CT — image 443 mm wide — sagittal plane, index 281 — 512x850 px — 19 vertebrae labeled in this scan
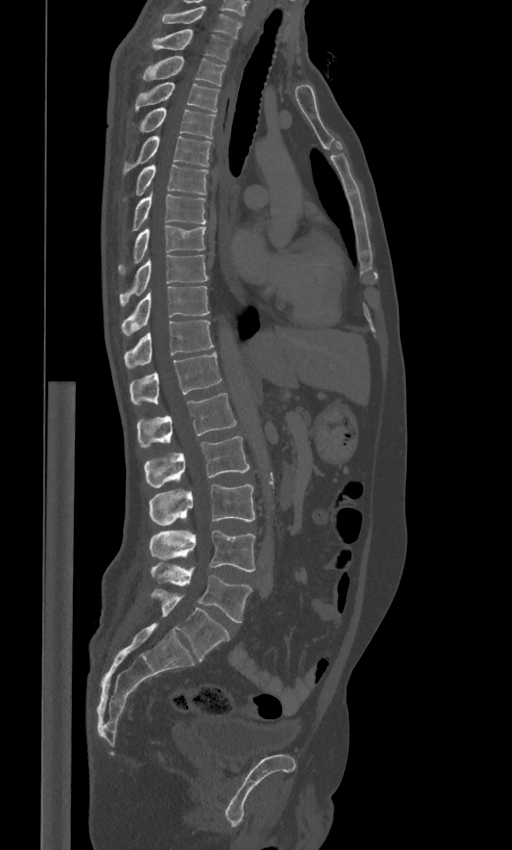 Coordinates as <box>x1,y1,x2,y2</box>.
These labels give the spine a sixth lumbar vertebra, L6, below L5.
Vertebra bounding boxes:
- C7: <box>159,6,242,39</box>
- T1: <box>151,29,232,60</box>
- T2: <box>142,56,225,86</box>
- T3: <box>135,81,220,111</box>
- T4: <box>139,108,215,138</box>
- T5: <box>122,135,212,175</box>
- T6: <box>125,164,208,201</box>
- T7: <box>132,192,206,231</box>
- T8: <box>118,225,206,275</box>
- T9: <box>119,255,208,306</box>
- T10: <box>121,286,209,336</box>
- T11: <box>124,320,214,368</box>
- T12: <box>129,352,221,404</box>
- L1: <box>136,393,236,446</box>
- L2: <box>144,436,249,487</box>
- L3: <box>149,484,254,525</box>
- L4: <box>149,529,255,571</box>
- L5: <box>151,562,251,622</box>
- L6: <box>151,589,229,660</box>